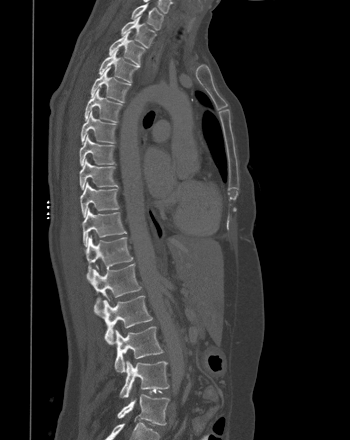 Computed tomography of the spine. 350 mm image width. sagittal view. bone window
Boxes: x1:y1:x2:y2 in pixels.
T1: 131:3:163:29
T2: 121:15:156:47
T3: 109:31:145:64
T4: 99:49:138:82
T5: 90:68:130:102
T6: 84:88:122:122
T7: 80:110:116:143
T8: 79:133:114:166
T9: 79:158:117:189
T10: 80:182:118:217
T11: 82:207:126:246
T12: 84:236:133:278
L1: 87:263:141:309
L2: 93:295:152:344
L3: 114:326:163:372
L4: 120:361:169:397
L5: 117:394:169:425